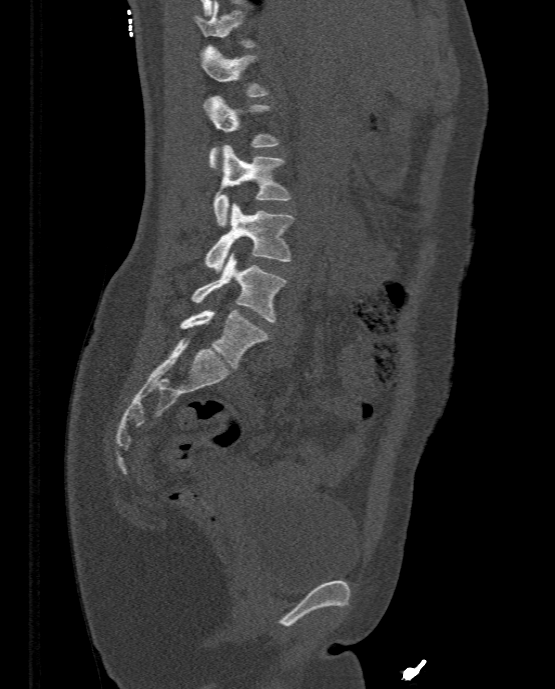 CT spine; sagittal view; the image spans 333 mm across; 555x689 px

In the table, x1 and y1 are a box's top-left corner and x2 and y2 its bottom-right corner, in pixels.
Not every vertebra on this slice has a box: a vertebra is boxed only from the first to the last slice where its cross-section is at least a third of its largest, and this slice is outside that range for at least one of them.
| vertebra | x1 | y1 | x2 | y2 |
|---|---|---|---|---|
| L5 | 180 | 310 | 269 | 368 |
| L4 | 191 | 252 | 285 | 322 |
| L3 | 205 | 203 | 292 | 273 |
| L2 | 214 | 145 | 291 | 226 |
| L1 | 206 | 96 | 279 | 167 |
| T12 | 202 | 45 | 267 | 96 |